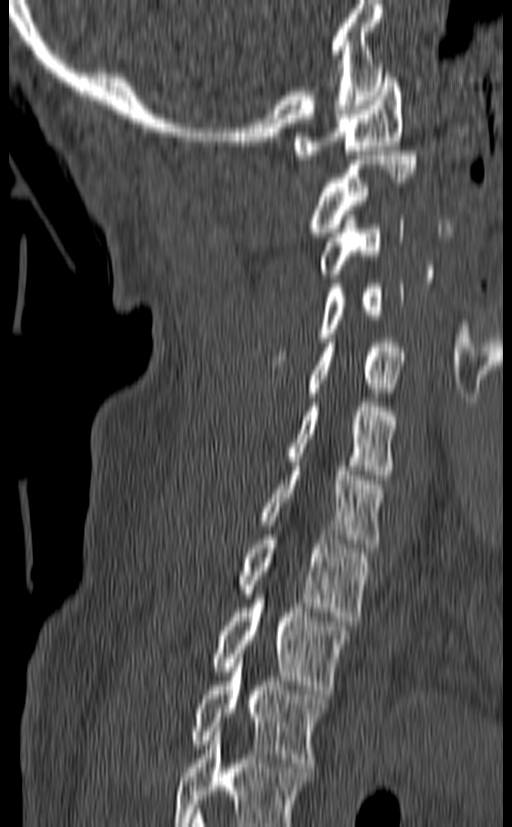

CT; sagittal view; Bone window (WL 400, WW 1800); 512x827 px

Coordinates as <box>x1,y1,x2,y2</box>.
This scan's labels start at C1 at the top and end at T3 at the bottom.
Vertebra bounding boxes:
- C1: <box>294,69,403,159</box>
- C2: <box>305,151,417,237</box>
- C3: <box>316,215,403,278</box>
- C4: <box>271,279,404,365</box>
- C5: <box>309,338,406,397</box>
- C6: <box>286,398,395,479</box>
- C7: <box>257,462,384,552</box>
- T1: <box>235,530,370,621</box>
- T2: <box>210,594,350,694</box>
- T3: <box>188,654,329,767</box>